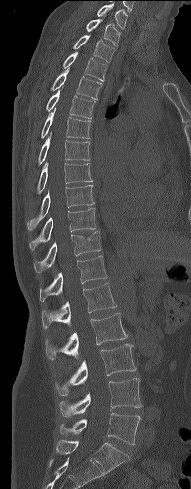

CT, spine; sagittal view; bone-window reconstruction

Bounding boxes as [x1, y1, x2, y2] in pixel coordinates.
L5: [60, 413, 140, 445]
L4: [59, 378, 141, 416]
L3: [55, 344, 136, 395]
L2: [46, 313, 127, 359]
L1: [42, 283, 116, 327]
T12: [40, 256, 107, 301]
T11: [34, 230, 101, 272]
T10: [29, 208, 96, 249]
T9: [27, 185, 94, 230]
T8: [37, 163, 92, 193]
T7: [38, 131, 90, 165]
T6: [41, 108, 91, 138]
T5: [46, 90, 95, 118]
T4: [51, 70, 101, 99]
T3: [63, 52, 107, 80]
T2: [73, 35, 115, 62]
T1: [86, 19, 120, 45]
C7: [97, 3, 127, 28]